Spine CT · sagittal view · a region is masked with a constant gray value
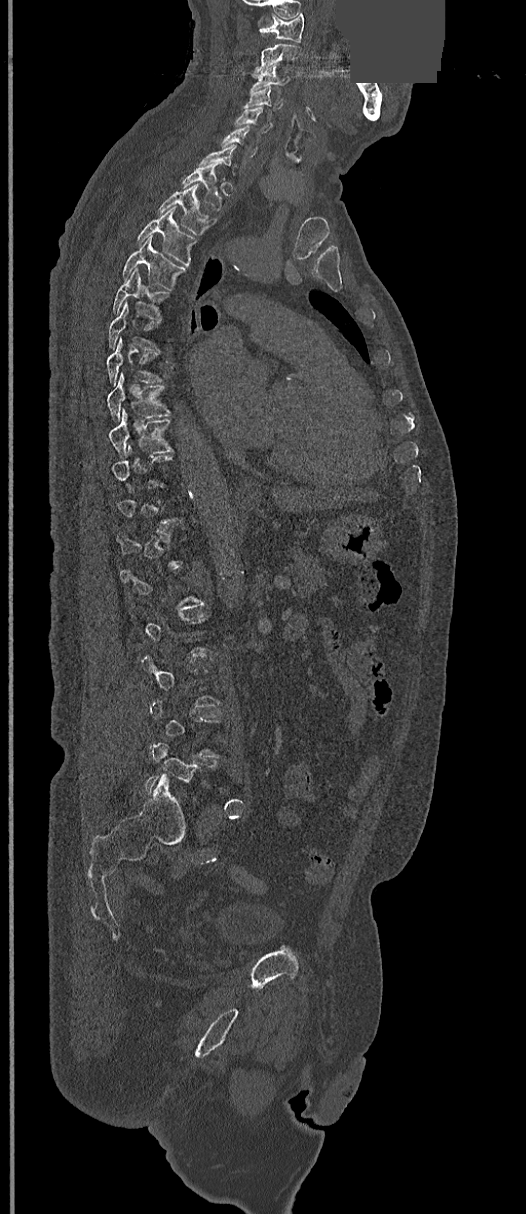
Boxes: x1 y1 x2 y2 (pixel coords, space-separated).
A vertebra is boxed only from the first to the last slice where its cross-section is at least a third of its largest; slices outside that range leave it without a box.
C1: 259 13 305 42
C2: 252 43 300 76
C3: 252 64 289 88
C4: 245 87 281 109
C5: 234 106 273 133
C6: 221 126 257 156
C7: 198 144 236 173
T1: 181 165 222 210
T2: 158 184 216 236
T3: 136 208 197 266
T4: 121 237 186 289
T5: 111 268 168 319
T6: 109 301 159 350
T7: 107 337 163 385
T8: 107 371 170 420
T9: 109 409 174 456
L5: 144 741 201 799